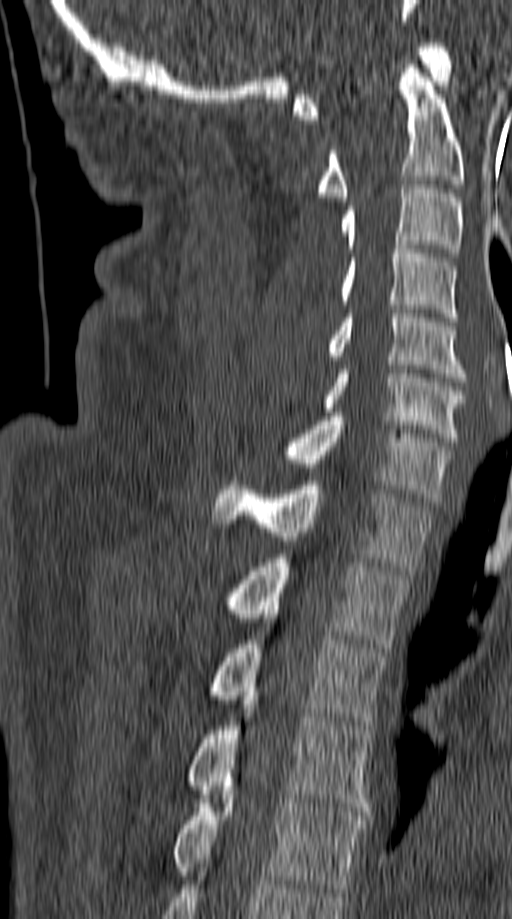

CT; sagittal reformat; W/L 1800/400 HU
Bounding boxes as [x1, y1, x2, y2] in pixel coordinates.
T5: [173, 795, 368, 892]
T4: [187, 696, 371, 811]
T3: [211, 640, 385, 729]
T2: [225, 554, 409, 652]
T1: [214, 481, 433, 570]
C7: [283, 412, 452, 502]
C6: [320, 365, 464, 441]
C5: [328, 309, 466, 381]
C4: [312, 245, 457, 321]
C3: [341, 185, 461, 257]
C2: [317, 64, 464, 201]
C1: [293, 43, 452, 119]